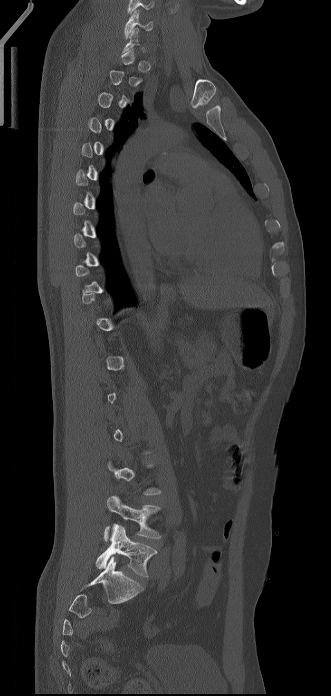
CT spine. sagittal view. bone-window reconstruction

Each box given as x1,y1,x2,y2. Each vertebra is boxed only on the slices from the first to the last where its cross-section reaches a third of its largest, so a slice outside that range leaves it unboxed. The highest labeled vertebra in this scan is C6; the lowest is L5. 3 vertebrae labeled — C6 at x1=124, y1=10, x2=153, y2=38; L4 at x1=104, y1=496, x2=160, y2=541; L5 at x1=96, y1=524, x2=157, y2=577.